CT · sagittal reformat · 207x253 px · image 207 mm wide
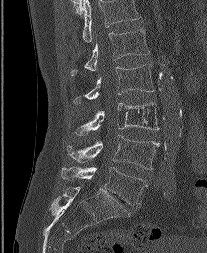
Boxes: x1:y1:x2:y2 in pixels.
Labels in this scan begin with L1 at the top and end with L5 at the bottom.
Vertebra bounding boxes:
- L1: 71:28:149:75
- L2: 74:64:154:103
- L3: 75:102:158:135
- L4: 67:135:159:169
- L5: 61:167:145:205